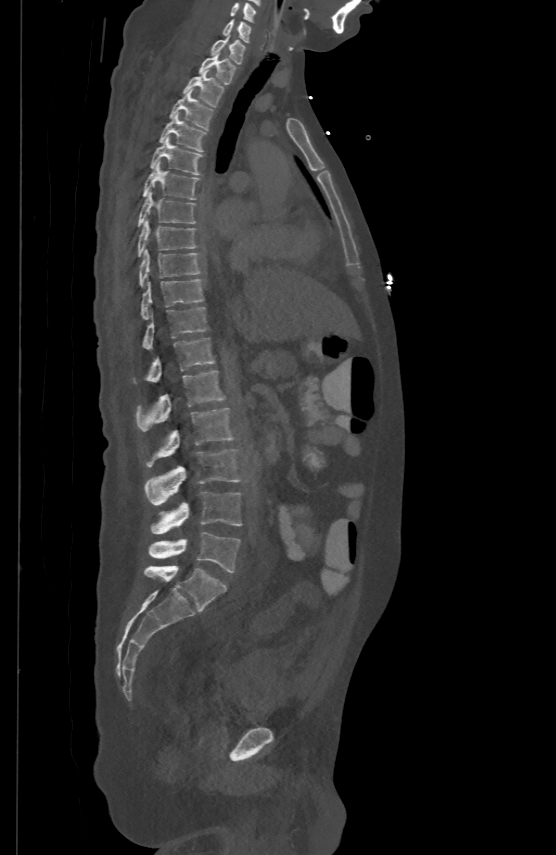

CT, spine. sagittal reformat. 556x855 px

<vertebrae><v name="C5" x1="231" y1="2" x2="256" y2="20"/><v name="C6" x1="224" y1="17" x2="250" y2="41"/><v name="C7" x1="212" y1="34" x2="244" y2="63"/><v name="T1" x1="199" y1="51" x2="234" y2="83"/><v name="T2" x1="183" y1="69" x2="224" y2="105"/><v name="T3" x1="170" y1="89" x2="213" y2="129"/><v name="T4" x1="160" y1="112" x2="204" y2="151"/><v name="T5" x1="151" y1="135" x2="201" y2="173"/><v name="T6" x1="143" y1="161" x2="199" y2="199"/><v name="T7" x1="138" y1="191" x2="195" y2="225"/><v name="T8" x1="138" y1="219" x2="195" y2="254"/><v name="T9" x1="139" y1="247" x2="199" y2="284"/><v name="T10" x1="141" y1="279" x2="203" y2="318"/><v name="T11" x1="143" y1="306" x2="207" y2="350"/><v name="T12" x1="146" y1="336" x2="215" y2="381"/><v name="L1" x1="137" y1="370" x2="224" y2="431"/><v name="L2" x1="148" y1="406" x2="232" y2="466"/><v name="L3" x1="144" y1="450" x2="239" y2="504"/><v name="L4" x1="150" y1="492" x2="241" y2="533"/><v name="L5" x1="148" y1="532" x2="240" y2="572"/></vertebrae>